Spine computed tomography — Sagittal slice 202/512 — 512x747 px — scan covers 12 annotated vertebrae
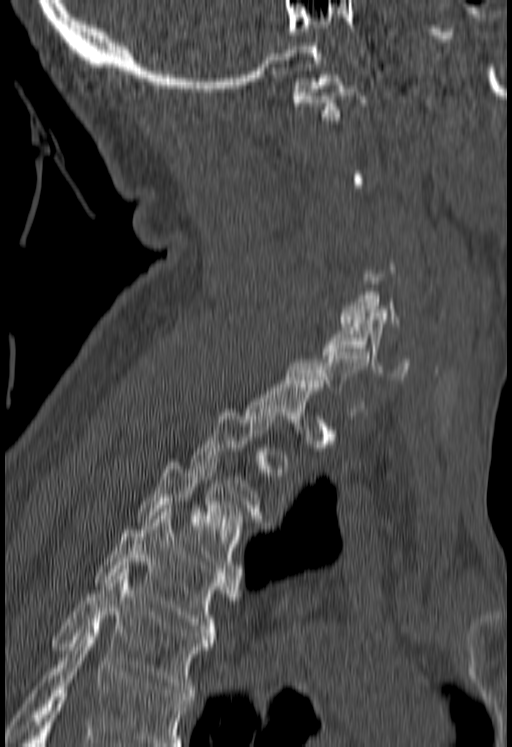 Box edges are left/top/right/bottom in pixels. A vertebra gets a box only on the slices from the first to the last where its cross-section is at least a third of its largest; on a slice outside that range it gets none. No box is given to a vertebra that the bottom edge of the scan cuts off. Vertebrae labeled: T5 at left=52, top=569, right=213, bottom=696, T4 at left=95, top=512, right=239, bottom=639, T3 at left=137, top=459, right=245, bottom=571, C6 at left=322, top=316, right=409, bottom=379, C1 at left=292, top=75, right=367, bottom=120.